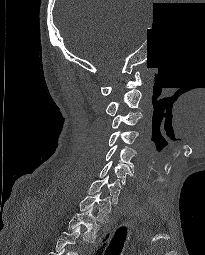
Spine computed tomography — sagittal view — bone-window reconstruction — 205x255 px — an area of the scan was removed and filled with constant pixels. Boxes: x1 y1 x2 y2 (pixel coords, space-separated). This scan's labels start at C1 at the top and end at T2 at the bottom. 9 vertebrae labeled — T2 at 68 205 100 242; T1 at 79 192 110 222; C7 at 88 175 120 204; C6 at 99 161 132 185; C5 at 106 145 136 172; C4 at 109 130 138 146; C3 at 112 111 142 128; C2 at 105 89 141 116; C1 at 101 71 141 95.